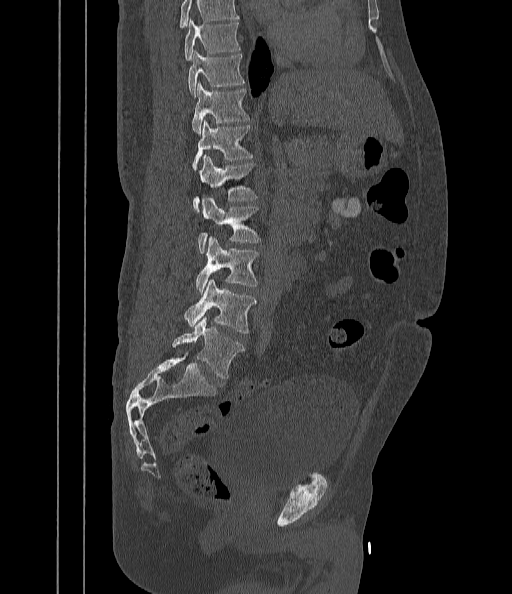 Computed tomography of the spine; sagittal reformat
Box edges are left/top/right/bottom in pixels. Where the top of the scan cuts through a vertebra, that vertebra gets no label or box. 9 vertebrae labeled — T9 at left=184, top=19, right=240, bottom=60; T10 at left=188, top=50, right=244, bottom=95; T11 at left=191, top=83, right=249, bottom=133; T12 at left=192, top=120, right=253, bottom=171; L1 at left=193, top=156, right=257, bottom=211; L2 at left=198, top=198, right=261, bottom=254; L3 at left=196, top=236, right=258, bottom=293; L4 at left=184, top=280, right=256, bottom=333; L5 at left=173, top=318, right=243, bottom=378.